CT, spine. sagittal plane, index 97. 164x404 px. the image spans 164 mm across. scan covers 11 annotated vertebrae
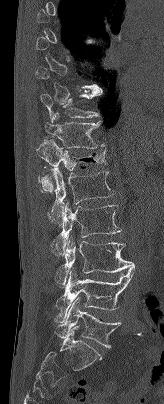

Each box given as x1,y1,x2,y2.
A vertebra is boxed only from the first to the last slice where its cross-section is at least a third of its largest; slices outside that range leave it without a box.
Vertebra bounding boxes:
- L5: x1=55, y1=298, x2=121, y2=348
- L4: x1=56, y1=268, x2=135, y2=320
- L3: x1=56, y1=236, x2=135, y2=285
- L2: x1=50, y1=202, x2=121, y2=255
- L1: x1=48, y1=166, x2=114, y2=226
- T12: x1=37, y1=140, x2=106, y2=192
- T11: x1=45, y1=112, x2=105, y2=148
- T10: x1=40, y1=91, x2=102, y2=121